CT spine. Sagittal slice 59/116
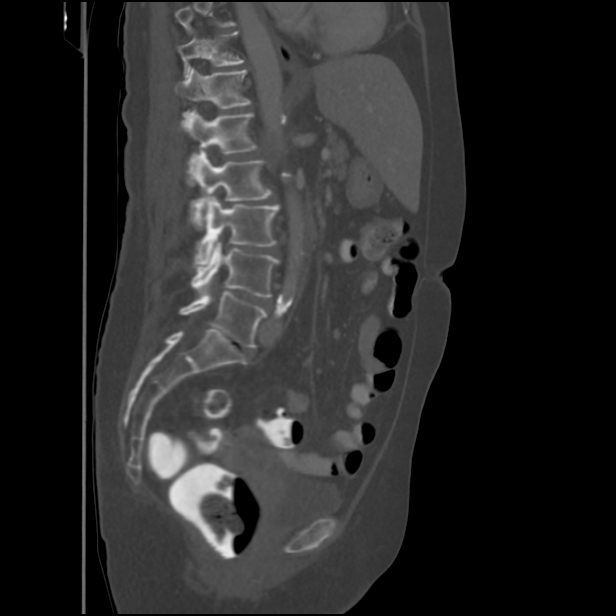

Each box given as x1,y1,x2,y2.
Where the top of the scan cuts through a vertebra, that vertebra gets no label or box.
Vertebra bounding boxes:
- T11: x1=178, y1=32, x2=244, y2=78
- T12: x1=175, y1=67, x2=251, y2=117
- L1: x1=181, y1=110, x2=258, y2=174
- L2: x1=191, y1=152, x2=272, y2=227
- L3: x1=194, y1=195, x2=279, y2=265
- L4: x1=191, y1=242, x2=279, y2=297
- L5: x1=179, y1=291, x2=266, y2=347